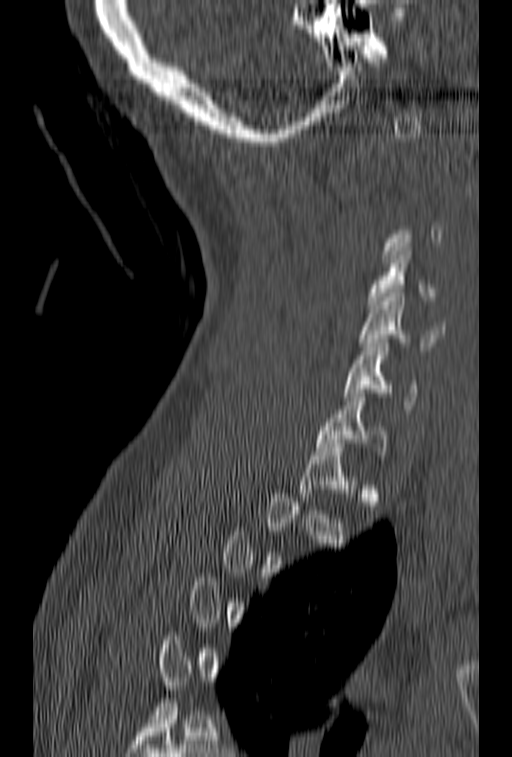 Spine computed tomography — sagittal view — 512x757 px — 153 mm across the image
Boxes: x1 y1 x2 y2 (pixel coords, space-separated).
Each vertebra is boxed only on the slices from the first to the last where its cross-section reaches a third of its largest, so a slice outside that range leaves it unboxed.
C4: 367 247 439 309
C5: 359 293 444 350
C6: 343 343 417 413
C7: 316 393 388 459